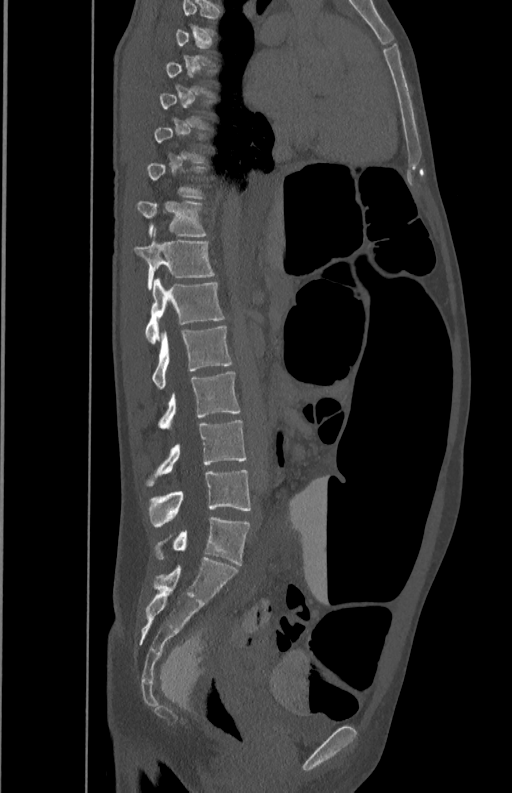 CT spine — sagittal view — bone window
Boxes: x1 y1 x2 y2 (pixel coords, space-separated).
Each vertebra is boxed only on the slices from the first to the last where its cross-section reaches a third of its largest, so a slice outside that range leaves it unboxed.
T11: 137 200 206 236
T12: 134 229 215 290
L1: 145 278 226 343
L2: 152 327 233 387
L3: 158 371 240 428
L4: 146 420 246 486
L5: 148 469 250 527